CT — sagittal reformat — bone-window reconstruction — 512x758 px — scan covers 8 annotated vertebrae — 322 mm image width
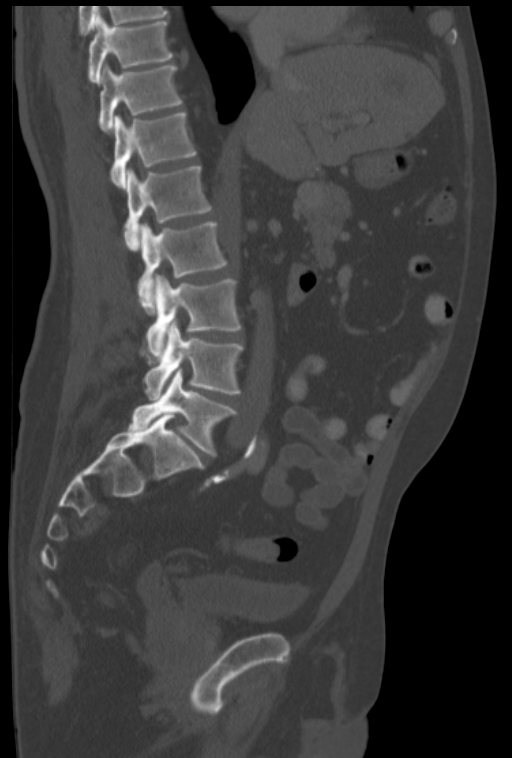
Each vertebra maps to its box as [x1, y1, x2, y2], the pixel coordinates of its top-left and bottom-right corners.
{"vertebrae":{"L5":[129,369,236,455],"L4":[143,321,243,400],"L3":[147,275,241,358],"L2":[137,221,227,315],"L1":[124,166,211,250],"T12":[110,112,196,187],"T11":[99,64,182,131],"T10":[88,15,173,82]}}